Computed tomography of the spine · sagittal view · scan covers 23 annotated vertebrae · a uniform gray block covers part of the image
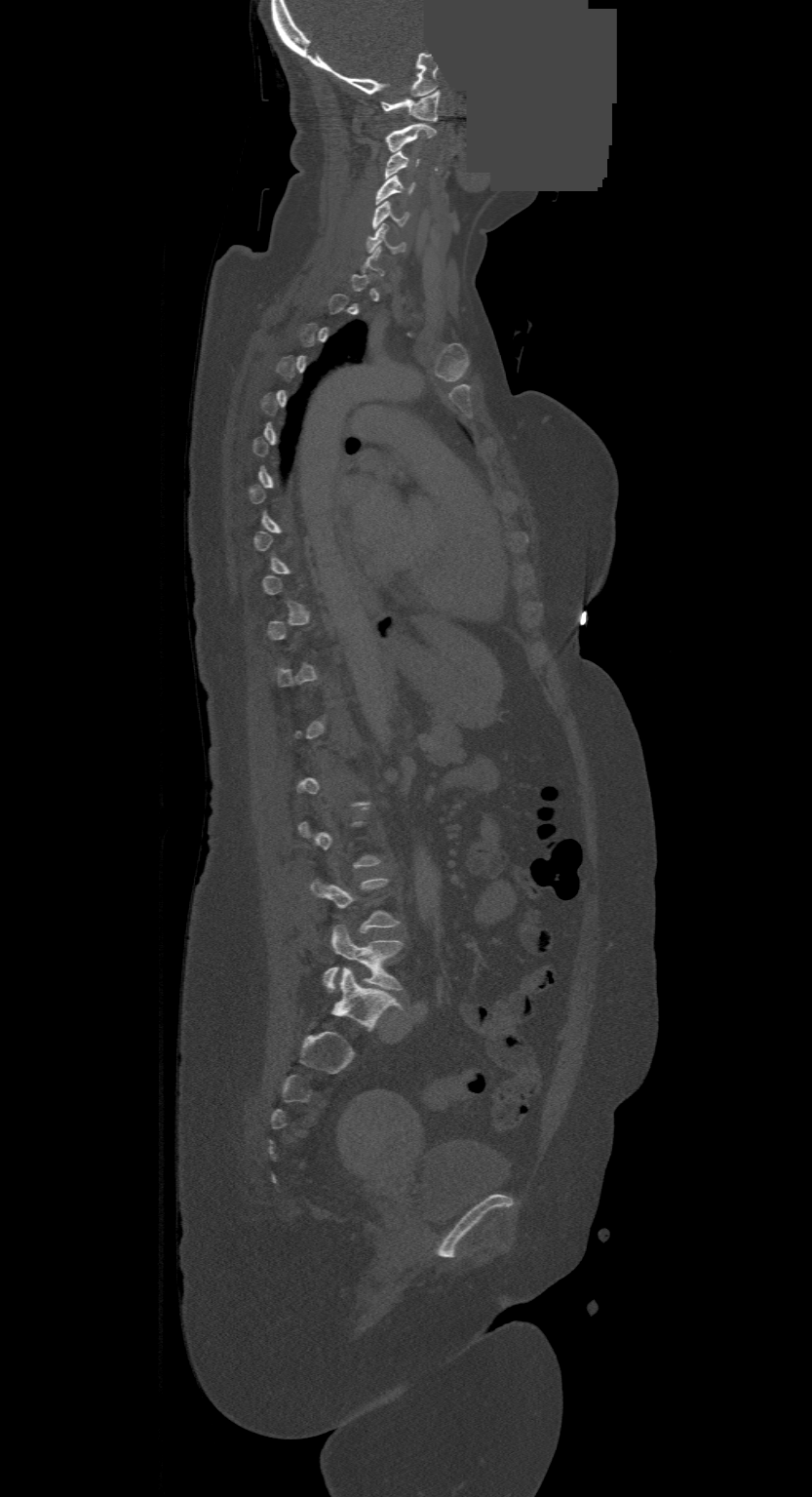 Boxes: x1 y1 x2 y2 (pixel coords, space-separated).
A vertebra gets a box only on the slices from the first to the last where its cross-section is at least a third of its largest; on a slice outside that range it gets none.
This scan's labels start at C1 at the top and end at L4 at the bottom.
L4: 324 926 402 993
C6: 367 223 406 253
C5: 371 200 408 228
C4: 376 176 414 204
C3: 386 150 419 177
C2: 386 124 436 152
C1: 382 91 440 121